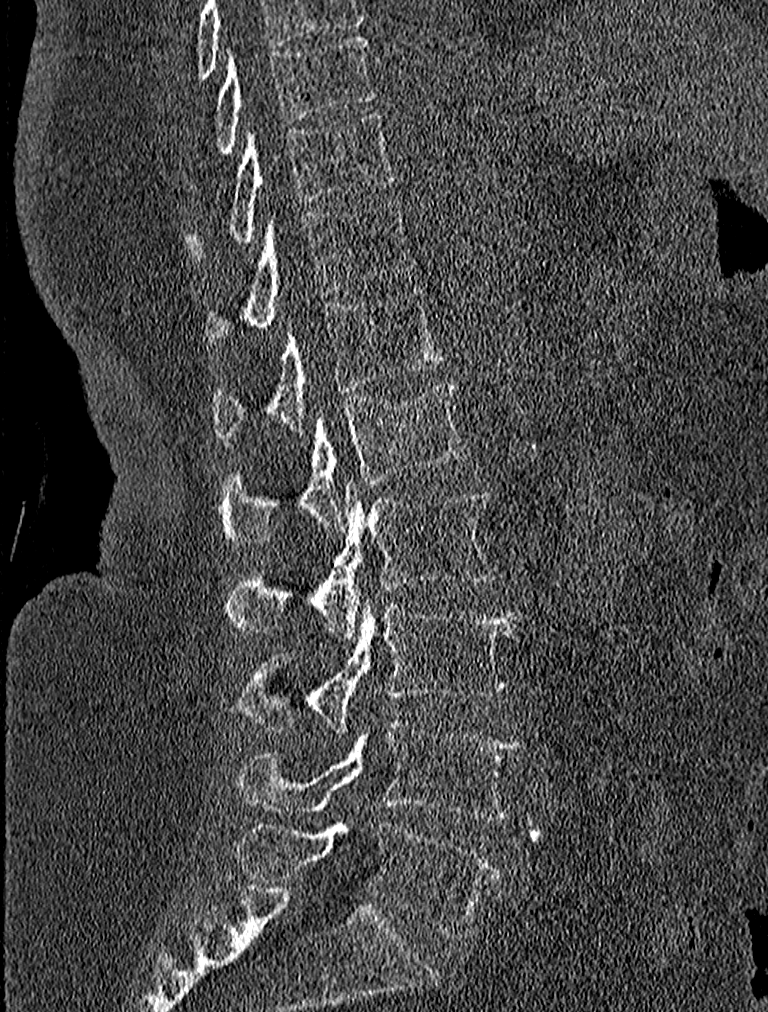 Spine computed tomography — the image spans 227 mm across — sagittal reformat — 768x1012 px
Box edges are left/top/right/bottom in pixels.
| vertebra | x1 | y1 | x2 | y2 |
|---|---|---|---|---|
| L5 | 236 | 821 | 499 | 935 |
| L4 | 236 | 722 | 522 | 820 |
| L3 | 236 | 597 | 519 | 731 |
| L2 | 225 | 481 | 495 | 637 |
| L1 | 219 | 382 | 468 | 546 |
| T12 | 212 | 288 | 448 | 442 |
| T11 | 202 | 199 | 411 | 345 |
| T10 | 185 | 111 | 397 | 262 |
| T9 | 212 | 33 | 373 | 159 |